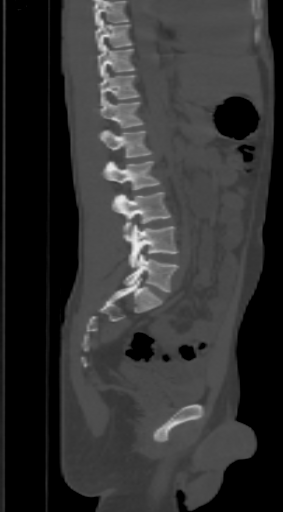 CT — sagittal view — bone window
Boxes are given in columns x1, y1, x2, y2, the pixel coordinates of their top-left and bottom-right corners.
Where the top of the scan cuts through a vertebra, that vertebra gets no label or box.
| vertebra | x1 | y1 | x2 | y2 |
|---|---|---|---|---|
| L5 | 123 | 254 | 178 | 292 |
| L4 | 123 | 225 | 178 | 268 |
| L3 | 112 | 192 | 170 | 230 |
| L2 | 101 | 161 | 161 | 189 |
| L1 | 98 | 129 | 153 | 157 |
| T12 | 101 | 100 | 145 | 128 |
| T11 | 98 | 72 | 139 | 105 |
| T10 | 98 | 44 | 136 | 77 |
| T9 | 95 | 18 | 133 | 51 |